Computed tomography of the spine — sagittal view
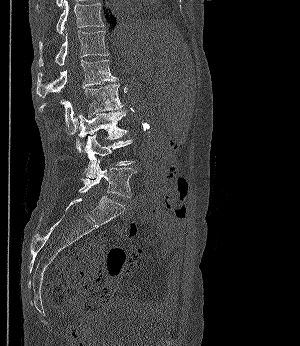
Box values are [left, top, right, bottom] in pixels.
{"vertebrae":{"T11":[39,0,103,34],"T12":[38,28,109,66],"L1":[36,60,116,98],"L2":[39,83,123,134],"L3":[78,110,127,139],"L4":[76,134,134,178],"L5":[79,159,136,197]}}